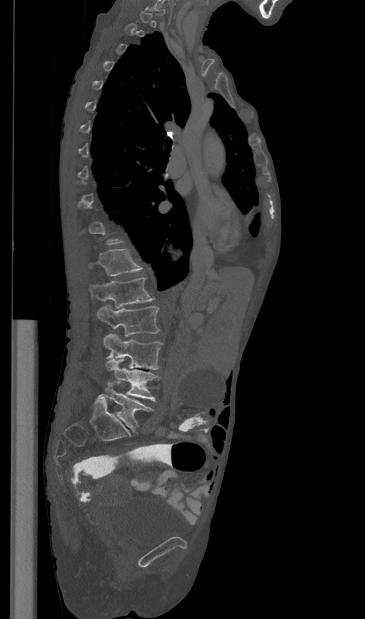 Spine computed tomography; sagittal view; 365x619 px
Box values are [left, top, right, bottom] in pixels.
Each vertebra is boxed only on the slices from the first to the last where its cross-section reaches a third of its largest, so a slice outside that range leaves it unboxed.
{"vertebrae":{"T12":[88,249,142,276],"L1":[89,278,154,308],"L2":[97,305,159,336],"L3":[103,334,162,369],"L4":[106,359,159,401],"L5":[98,382,153,431]}}